CT — sagittal plane, index 344 — bone window — 512x919 px — 12 vertebrae labeled in this scan
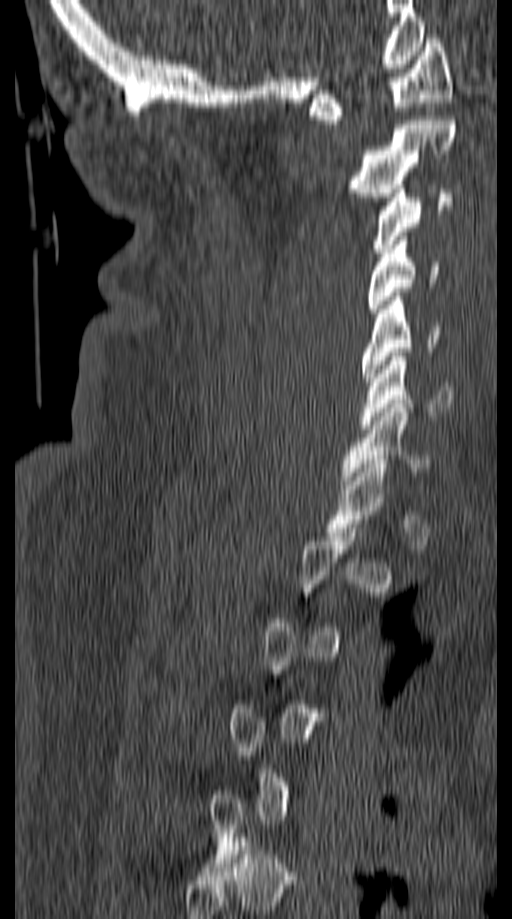
Each box given as x1,y1,x2,y2. A vertebra is boxed only from the first to the last slice where its cross-section is at least a third of its largest; slices outside that range leave it without a box. Vertebrae labeled: C1 at x1=309, y1=34, x2=451, y2=124, C2 at x1=345, y1=116, x2=457, y2=201, C3 at x1=372, y1=189, x2=452, y2=257, C4 at x1=368, y1=241, x2=438, y2=313, C5 at x1=362, y1=292, x2=439, y2=386, C6 at x1=362, y1=352, x2=452, y2=429, C7 at x1=340, y1=404, x2=431, y2=484.